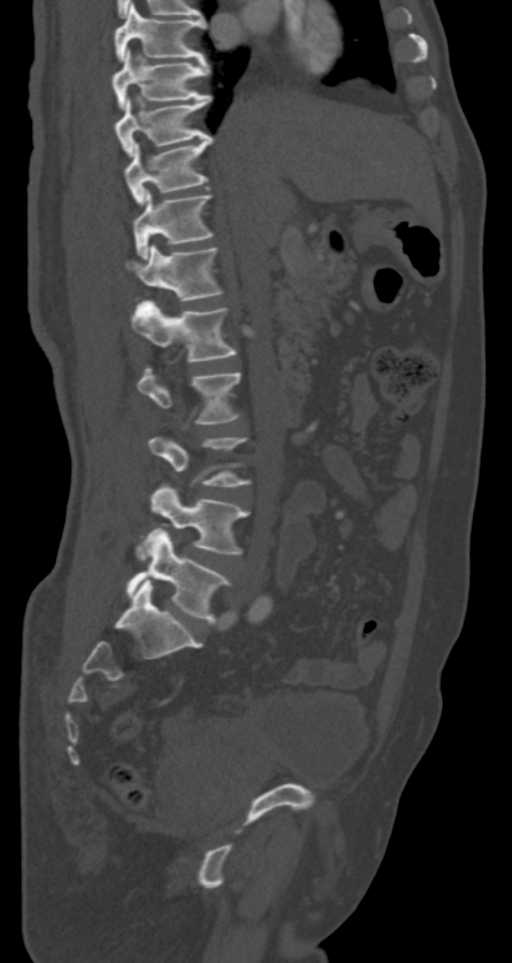 CT spine. sagittal reformat
Each vertebra maps to its box as [x1, y1, x2, y2], the pixel coordinates of its top-left and bottom-right corners.
{"vertebrae":{"T7":[114,4,206,61],"T8":[112,50,209,108],"T9":[114,96,211,156],"T10":[123,135,213,203],"T11":[132,191,213,257],"T12":[124,244,222,300],"L1":[132,301,236,361],"L2":[137,368,241,424],"L3":[148,437,250,486],"L4":[136,485,248,558],"L5":[126,529,229,623]}}